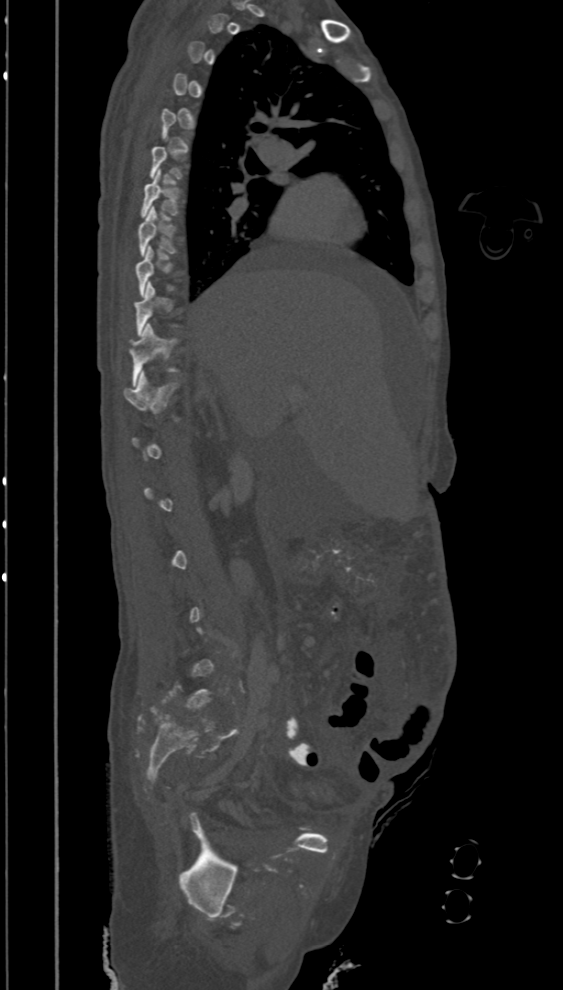
CT; image width 394 mm; sagittal view
Boxes below are [x1, y1, x2, y2] in pixels.
Not every vertebra on this slice has a box: a vertebra is boxed only from the first to the last slice where its cross-section is at least a third of its largest, and this slice is outside that range for at least one of them.
{"vertebrae":{"T7":[141,170,179,218],"T8":[139,206,176,256],"T11":[130,323,181,385],"T12":[123,371,179,413]}}